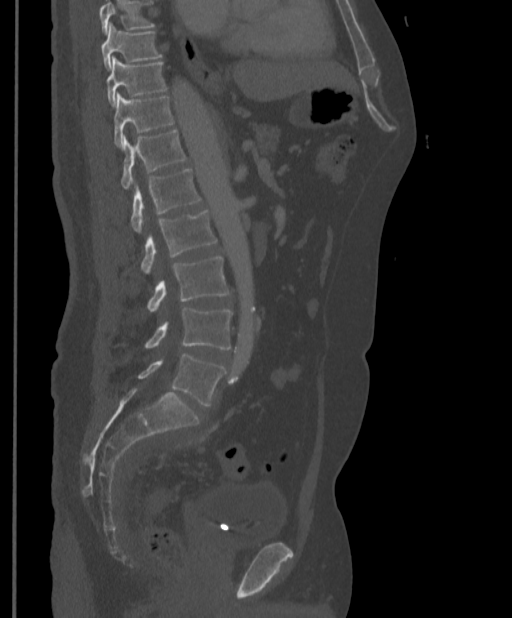
Spine computed tomography; sagittal reformat

A vertebra cut off by the top edge of the scan is not labeled and has no box.
<vertebrae><v name="T9" x1="102" y1="22" x2="163" y2="70"/><v name="T10" x1="107" y1="57" x2="168" y2="106"/><v name="T11" x1="113" y1="93" x2="174" y2="147"/><v name="T12" x1="120" y1="129" x2="187" y2="189"/><v name="L1" x1="130" y1="168" x2="201" y2="231"/><v name="L2" x1="139" y1="210" x2="217" y2="272"/><v name="L3" x1="146" y1="257" x2="231" y2="311"/><v name="L4" x1="144" y1="308" x2="232" y2="350"/><v name="L5" x1="137" y1="353" x2="225" y2="405"/></vertebrae>